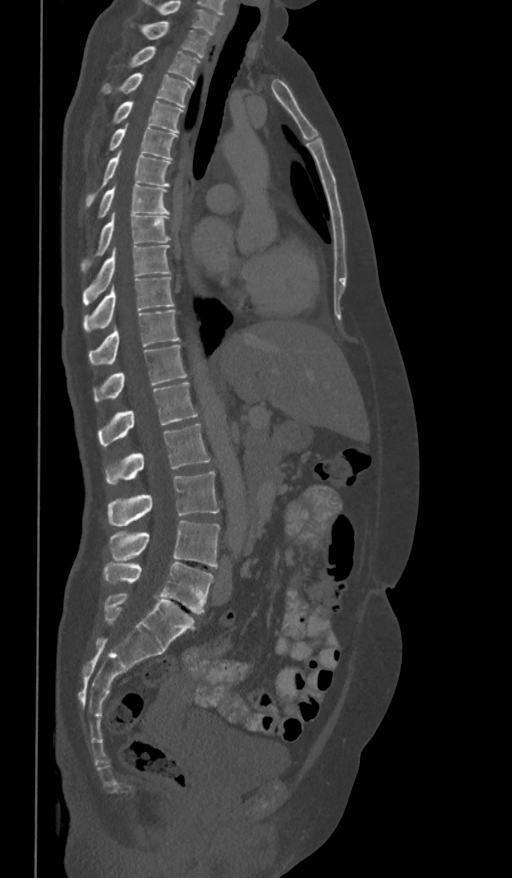

Spine CT · sagittal view · 512x878 px
This scan's labels start at T1 at the top and end at L5 at the bottom.
<vertebrae><v name="L5" x1="103" y1="562" x2="213" y2="613"/><v name="L4" x1="109" y1="521" x2="220" y2="567"/><v name="L3" x1="108" y1="471" x2="219" y2="526"/><v name="L2" x1="105" y1="423" x2="210" y2="484"/><v name="L1" x1="98" y1="382" x2="197" y2="446"/><v name="T12" x1="93" y1="345" x2="186" y2="402"/><v name="T11" x1="88" y1="310" x2="179" y2="364"/><v name="T10" x1="83" y1="277" x2="173" y2="331"/><v name="T9" x1="82" y1="244" x2="170" y2="304"/><v name="T8" x1="81" y1="212" x2="170" y2="272"/><v name="T7" x1="98" y1="185" x2="169" y2="217"/><v name="T6" x1="85" y1="151" x2="170" y2="207"/><v name="T5" x1="108" y1="124" x2="177" y2="159"/><v name="T4" x1="112" y1="101" x2="183" y2="133"/><v name="T3" x1="102" y1="73" x2="192" y2="107"/><v name="T2" x1="129" y1="46" x2="200" y2="83"/><v name="T1" x1="142" y1="22" x2="210" y2="58"/></vertebrae>